CT spine — 434 mm across the image — Sagittal slice 62/116
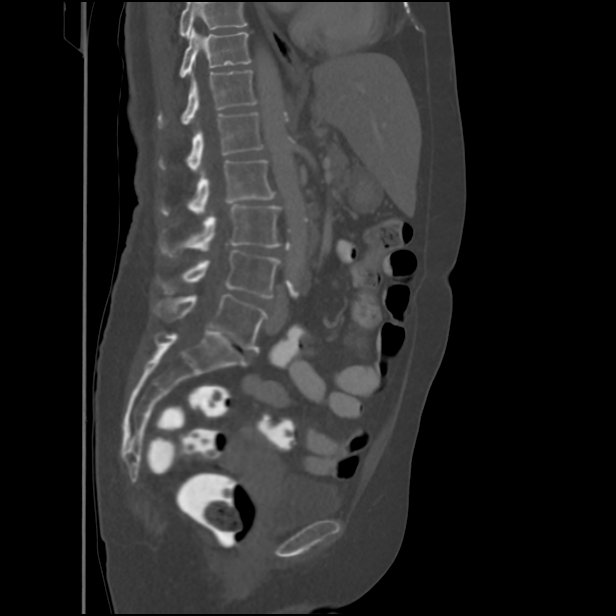

No box is given to a vertebra that the top edge of the scan cuts off.
<vertebrae><v name="T11" x1="179" y1="29" x2="251" y2="78"/><v name="T12" x1="157" y1="70" x2="258" y2="127"/><v name="L1" x1="158" y1="113" x2="263" y2="171"/><v name="L2" x1="159" y1="159" x2="275" y2="215"/><v name="L3" x1="159" y1="205" x2="282" y2="256"/><v name="L4" x1="157" y1="250" x2="280" y2="297"/><v name="L5" x1="154" y1="294" x2="266" y2="350"/></vertebrae>